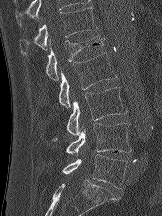

CT, spine; sagittal view; bone-window reconstruction; 162 mm image width; 162x216 px. Coordinates as <box>x1,y1,x2,y2</box>. 6 vertebrae labeled — T12 at <box>20,7,97,54</box>; L1 at <box>45,35,104,80</box>; L2 at <box>58,52,116,107</box>; L3 at <box>52,87,127,141</box>; L4 at <box>65,123,131,153</box>; L5 at <box>62,154,128,189</box>.